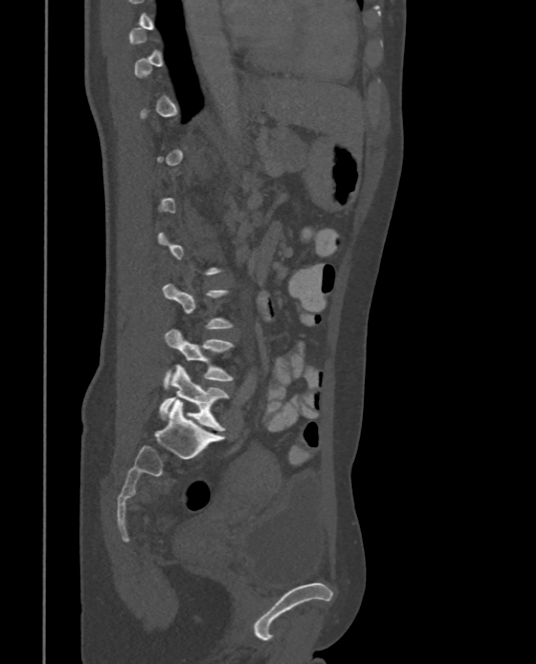
Spine CT. image width 375 mm. sagittal view. bone window
A vertebra gets a box only on the slices from the first to the last where its cross-section is at least a third of its largest; on a slice outside that range it gets none.
<vertebrae><v name="L4" x1="164" y1="328" x2="233" y2="390"/><v name="L5" x1="160" y1="364" x2="227" y2="430"/></vertebrae>